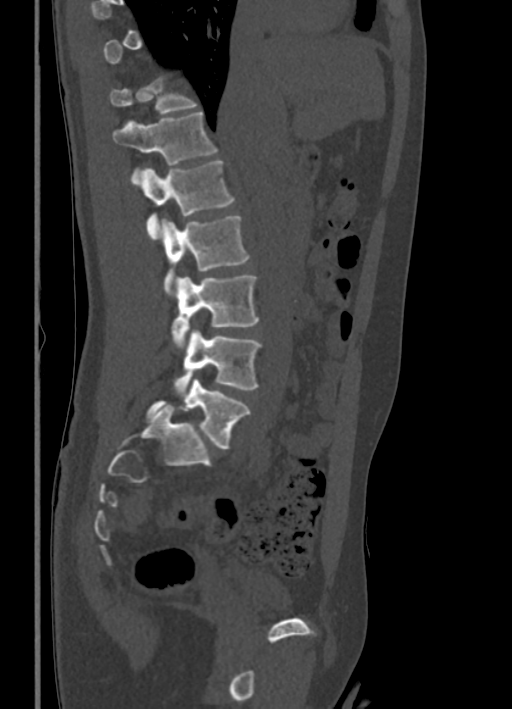 CT, spine; sagittal view; Bone window (WL 400, WW 1800); 512x709 px; 336 mm image width. In the table, x1 and y1 are a box's top-left corner and x2 and y2 its bottom-right corner, in pixels.
A vertebra gets a box only on the slices from the first to the last where its cross-section is at least a third of its largest; on a slice outside that range it gets none.
| vertebra | x1 | y1 | x2 | y2 |
|---|---|---|---|---|
| T11 | 109 | 78 | 197 | 114 |
| T12 | 113 | 111 | 217 | 176 |
| L1 | 140 | 160 | 233 | 239 |
| L2 | 160 | 216 | 249 | 294 |
| L3 | 172 | 276 | 258 | 347 |
| L4 | 174 | 329 | 259 | 390 |
| L5 | 145 | 378 | 250 | 449 |